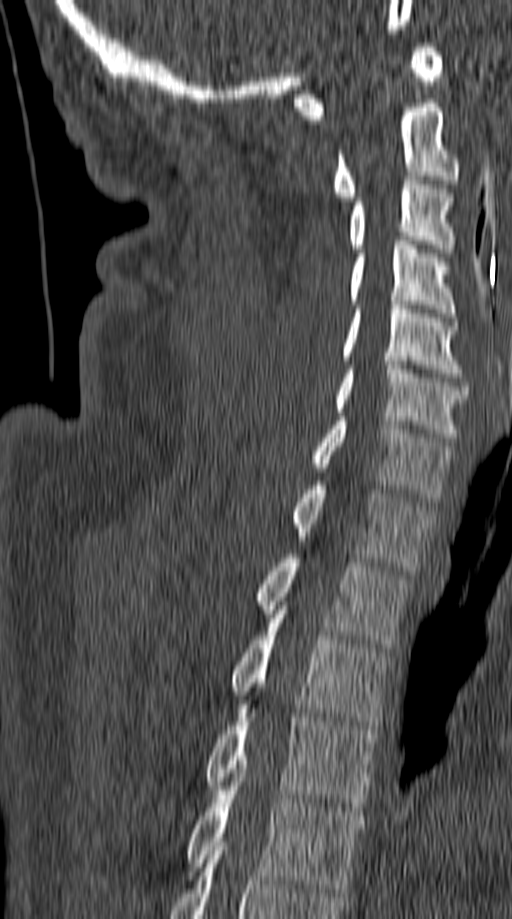

CT spine — sagittal view — Bone window (WL 400, WW 1800)
Box values are [left, top, right, bottom] in pixels.
{"vertebrae":{"C1":[294,43,443,119],"C2":[331,99,461,201],"C3":[348,176,457,252],"C4":[350,241,457,317],"C5":[340,301,464,377],"C6":[333,361,468,441],"C7":[310,417,452,502],"T1":[290,481,433,570],"T2":[256,554,409,648],"T3":[231,614,389,729],"T4":[204,704,378,811],"T5":[187,777,365,892]}}